Spine CT. Sagittal slice 283/512. scan covers 18 annotated vertebrae
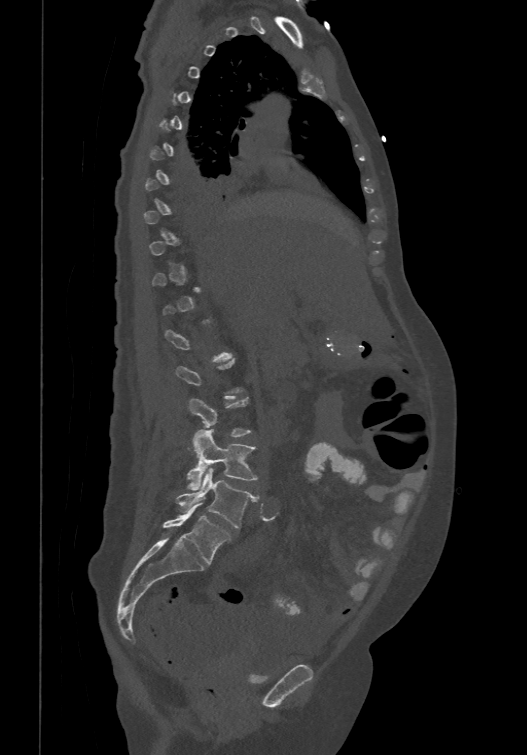
Box edges are left/top/right/bottom in pixels. Not every vertebra on this slice has a box: a vertebra is boxed only from the first to the last slice where its cross-section is at least a third of its largest, and this slice is outside that range for at least one of them. These labels give the spine a sixth lumbar vertebra, L6, below L5. The labeled vertebrae in this slice are: L3 at left=188, top=397, right=251, bottom=451, L4 at left=186, top=429, right=257, bottom=490, L5 at left=175, top=468, right=258, bottom=527, L6 at left=163, top=503, right=230, bottom=564.